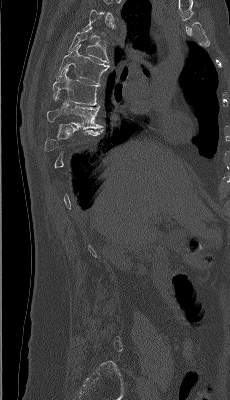 CT; sagittal view; 230x400 px. Boxes: x1:y1:x2:y2 in pixels. Each vertebra is boxed only on the slices from the first to the last where its cross-section reaches a third of its largest, so a slice outside that range leaves it unboxed. 4 vertebrae labeled — T8 at 46:105:102:129; T7 at 52:68:99:105; T6 at 56:44:109:84; T5 at 68:27:108:62.